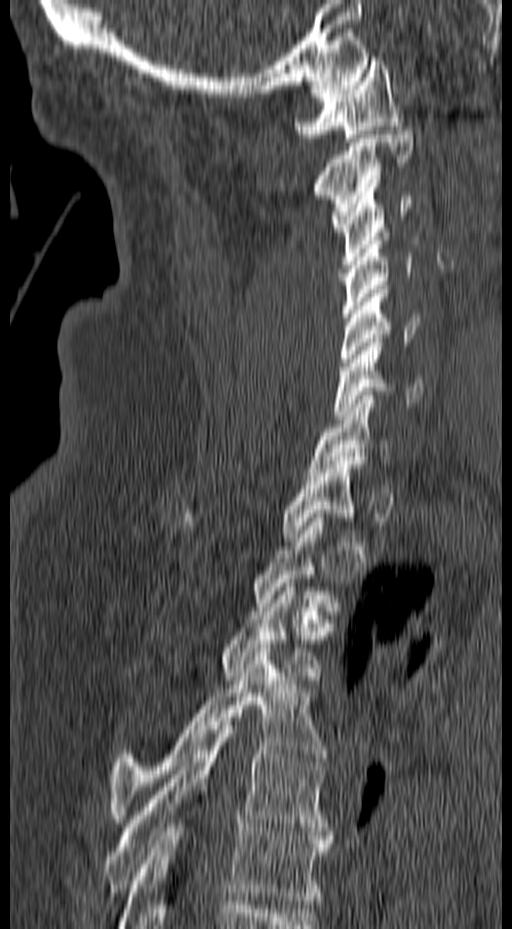
CT spine; sagittal view; Bone window (WL 400, WW 1800); 157 mm across the image; 512x929 px
Each box given as x1,y1,x2,y2.
A vertebra gets a box only on the slices from the first to the last where its cross-section is at least a third of its largest; on a slice outside that range it gets none.
C1: x1=294, y1=57, x2=403, y2=142
C2: x1=314, y1=126, x2=414, y2=231
C3: x1=332, y1=183, x2=413, y2=268
C4: x1=342, y1=232, x2=412, y2=317
C5: x1=339, y1=285, x2=421, y2=370
C6: x1=332, y1=338, x2=422, y2=419
C7: x1=308, y1=391, x2=392, y2=476
T1: x1=180, y1=457, x2=366, y2=541
T3: x1=217, y1=579, x2=325, y2=680
T4: x1=110, y1=648, x2=326, y2=822
T5: x1=105, y1=717, x2=336, y2=900
T6: x1=119, y1=815, x2=330, y2=928